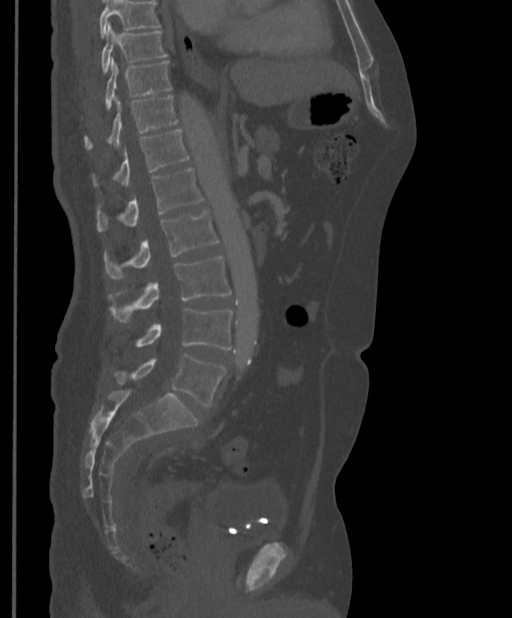

CT spine; the image spans 397 mm across; sagittal reformat; 512x618 px

Each box given as x1,y1,x2,y2.
Where the top of the scan cuts through a vertebra, that vertebra gets no label or box.
Vertebra bounding boxes:
- L5: x1=115, y1=353, x2=226, y2=407
- L4: x1=135, y1=308, x2=232, y2=350
- L3: x1=109, y1=257, x2=231, y2=321
- L2: x1=104, y1=210, x2=219, y2=279
- L1: x1=97, y1=168, x2=203, y2=231
- T12: x1=93, y1=129, x2=188, y2=186
- T11: x1=85, y1=95, x2=178, y2=149
- T10: x1=104, y1=58, x2=172, y2=110
- T9: x1=100, y1=23, x2=167, y2=73